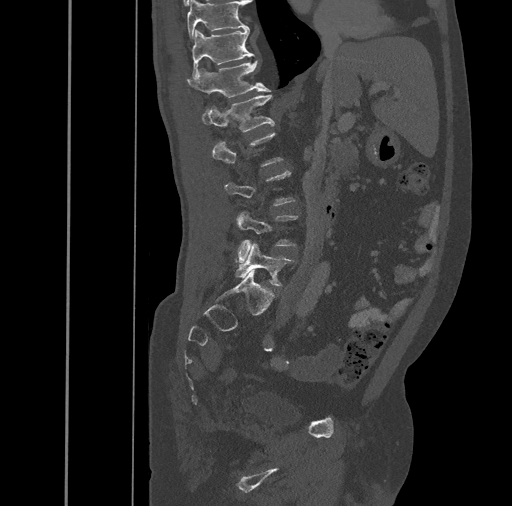

CT — sagittal view — W/L 1800/400 HU — image width 461 mm. In the table, x1 and y1 are a box's top-left corner and x2 and y2 its bottom-right corner, in pixels.
Each vertebra is boxed only on the slices from the first to the last where its cross-section reaches a third of its largest, so a slice outside that range leaves it unboxed.
| vertebra | x1 | y1 | x2 | y2 |
|---|---|---|---|---|
| L5 | 235 | 243 | 294 | 286 |
| L4 | 234 | 212 | 298 | 262 |
| L1 | 201 | 94 | 274 | 132 |
| T12 | 187 | 61 | 270 | 97 |
| T11 | 192 | 27 | 254 | 77 |
| T10 | 187 | 0 | 246 | 41 |